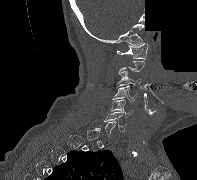 Spine CT. the image spans 197 mm across. sagittal reformat. Bone window (WL 400, WW 1800). 197x180 px. part of the image has been replaced by a constant value
Boxes are (x1, y1, x2, y2) in pixels. Not every vertebra on this slice has a box: a vertebra is boxed only from the first to the last slice where its cross-section is at least a third of its largest, and this slice is outside that range for at least one of them. 5 vertebrae labeled — C1 at (116, 43, 148, 59); C3 at (116, 71, 140, 88); C4 at (112, 86, 137, 102); C5 at (110, 99, 132, 117); C6 at (104, 112, 126, 131).